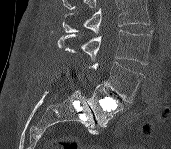 Spine computed tomography. sagittal view
Each vertebra maps to its box as [x1, y1, x2, y2], the pixel coordinates of its top-left and bottom-right corners.
Where the top of the scan cuts through a vertebra, that vertebra gets no label or box.
{"vertebrae":{"L3":[57,30,152,64],"L4":[89,62,143,102],"L5":[87,84,123,127]}}